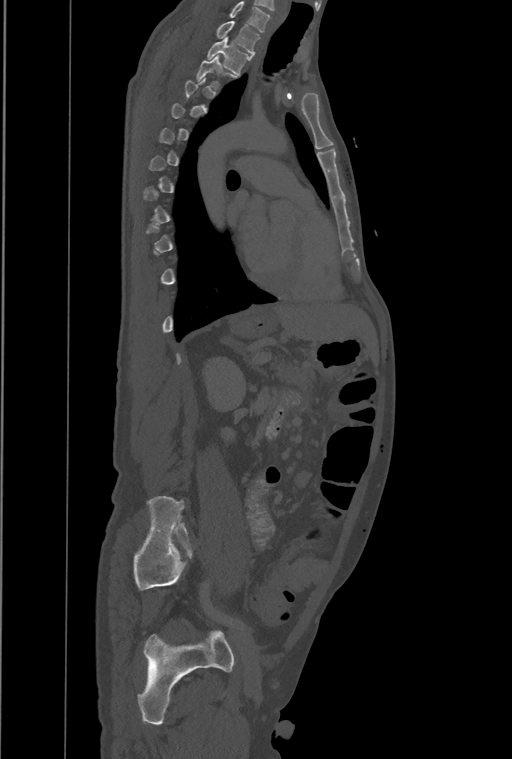 CT, spine; the image spans 461 mm across; sagittal view
Box edges are left/top/right/bottom in pixels.
A vertebra gets a box only on the slices from the first to the last where its cross-section is at least a third of its largest; on a slice outside that range it gets none.
Labels in this scan begin with T1 at the top and end with L4 at the bottom.
Vertebra bounding boxes:
- T1: left=216, top=20, right=259, bottom=55
- T2: left=207, top=37, right=252, bottom=75
- T3: left=196, top=56, right=236, bottom=89